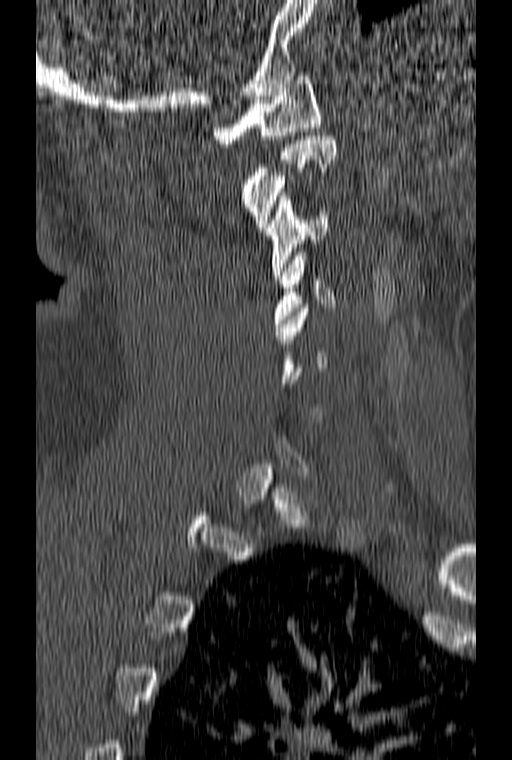 CT, spine — sagittal view — 160 mm image width
Not every vertebra on this slice has a box: a vertebra is boxed only from the first to the last slice where its cross-section is at least a third of its largest, and this slice is outside that range for at least one of them.
<vertebrae><v name="C1" x1="213" y1="72" x2="320" y2="147"/><v name="C2" x1="241" y1="136" x2="336" y2="231"/><v name="C3" x1="266" y1="196" x2="327" y2="279"/><v name="C4" x1="273" y1="252" x2="336" y2="327"/></vertebrae>